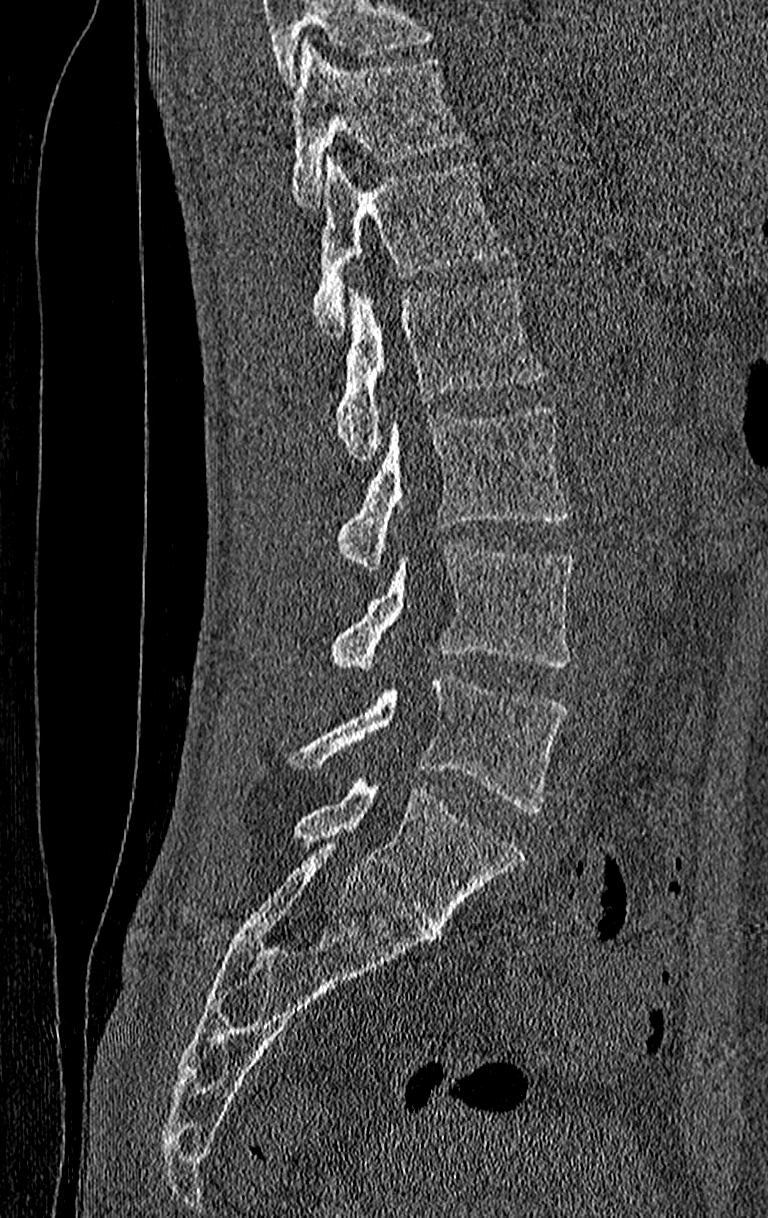
CT spine. sagittal view. Bone window (WL 400, WW 1800). 768x1218 px

Where the top of the scan cuts through a vertebra, that vertebra gets no label or box.
Labels in this scan begin with T11 at the top and end with L4 at the bottom.
<vertebrae><v name="L4" x1="288" y1="673" x2="568" y2="812"/><v name="L3" x1="328" y1="541" x2="575" y2="669"/><v name="L2" x1="335" y1="406" x2="568" y2="570"/><v name="L1" x1="335" y1="275" x2="543" y2="465"/><v name="T12" x1="313" y1="158" x2="510" y2="336"/><v name="T11" x1="291" y1="41" x2="469" y2="208"/></vertebrae>